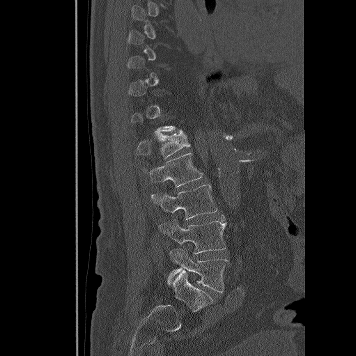
Spine computed tomography — sagittal view — bone window

Box edges are left/top/right/bottom in pixels.
Not every vertebra on this slice has a box: a vertebra is boxed only from the first to the last slice where its cross-section is at least a third of its largest, and this slice is outside that range for at least one of them.
Vertebra bounding boxes:
- L5: left=168, top=248, right=227, bottom=291
- L4: left=158, top=214, right=228, bottom=253
- L3: left=151, top=184, right=217, bottom=219
- L2: left=150, top=152, right=203, bottom=187
- L1: left=137, top=131, right=189, bottom=158